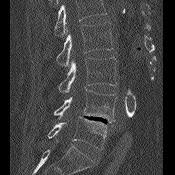 Spine computed tomography — sagittal view — 175 mm wide

Coordinates as <box>x1,y1,x2,y2</box>.
No box is given to a vertebra that the top edge of the scan cuts off.
L2: <box>56,22,113,66</box>
L3: <box>58,57,117,93</box>
L4: <box>54,89,117,123</box>
L5: <box>48,116,107,149</box>